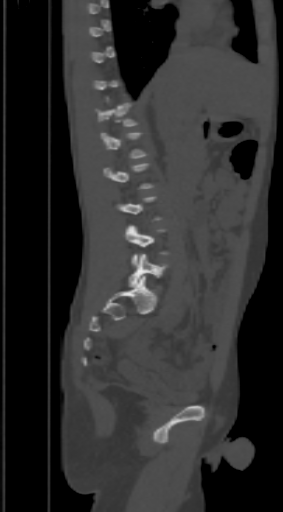

CT. sagittal view. bone window
Each vertebra maps to its box as [x1, y1, x2, y2], the pixel coordinates of its top-left and bottom-right corners.
A vertebra gets a box only on the slices from the first to the last where its cross-section is at least a third of its largest; on a slice outside that range it gets none.
{"vertebrae":{"T12":[95,103,136,127],"L5":[129,253,167,287]}}